Spine computed tomography · image 180 mm wide · sagittal plane, index 325 · W/L 1800/400 HU · scan covers 14 annotated vertebrae
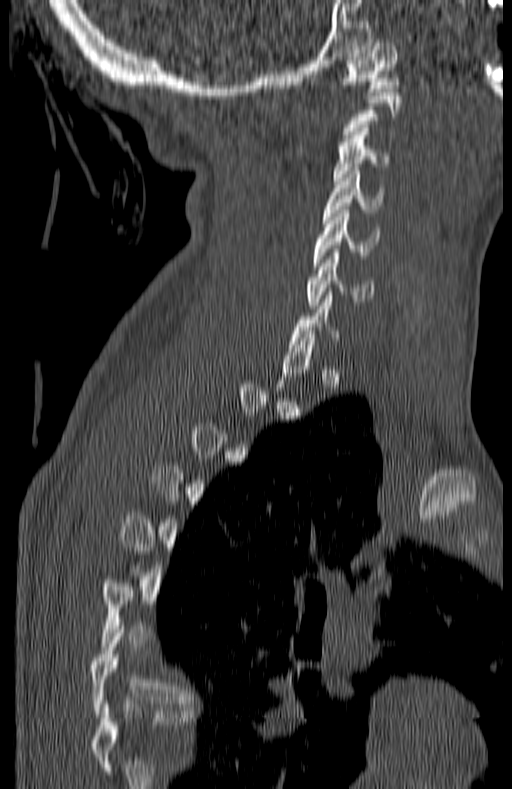

Coordinates as <box>x1,y1,x2,y2</box>.
A vertebra is boxed only from the first to the last slice where its cross-section is at least a third of its largest; slices outside that range leave it without a box.
In this scan, the topmost labeled vertebra is C1 and the lowest is T7.
C1: <box>345,39,398,91</box>
C3: <box>333,128,387,184</box>
C4: <box>323,171,384,219</box>
C5: <box>314,210,378,269</box>
C6: <box>308,249,375,308</box>
T7: <box>89,633,193,714</box>